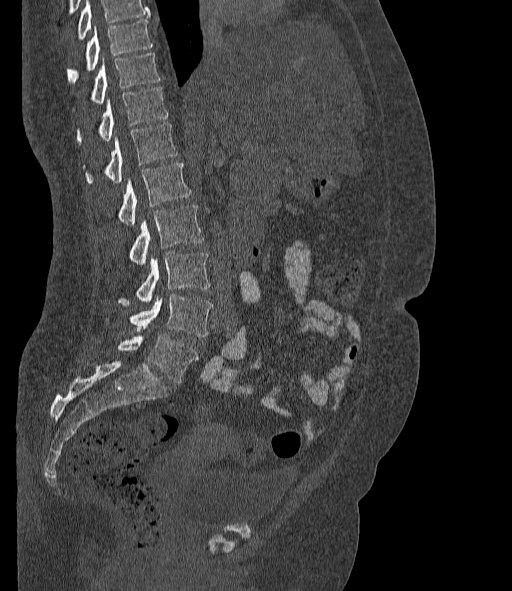
Computed tomography of the spine — sagittal view — bone-window reconstruction — image 377 mm wide
Coordinates as <box>x1,y1,x2,y2</box>. A vertebra cut off by the top edge of the scan is not labeled and has no box. These labels give the spine a sixth lumbar vertebra, L6, below L5. Vertebrae labeled: L6 at <box>117,333,198,383</box>, L5 at <box>129,295,212,337</box>, L4 at <box>118,253,211,306</box>, L3 at <box>129,205,203,264</box>, L2 at <box>117,163,190,224</box>, L1 at <box>83,124,177,184</box>, T12 at <box>77,87,169,143</box>, T11 at <box>73,53,159,109</box>, T10 at <box>66,19,152,83</box>.